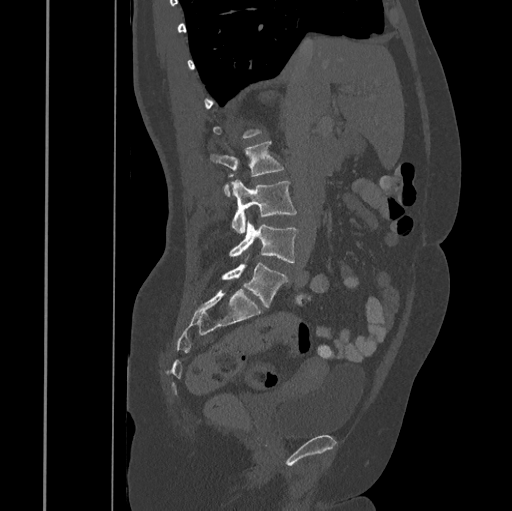
CT, spine — sagittal view — W/L 1800/400 HU — 445 mm image width
Boxes: x1:y1:x2:y2 in pixels.
Each vertebra is boxed only on the slices from the first to the last where its cross-section reaches a third of its largest, so a slice outside that range leaves it unboxed.
Vertebra bounding boxes:
- L2: 210:141:283:196
- L3: 231:179:297:233
- L4: 229:220:298:262
- L5: 222:255:288:308